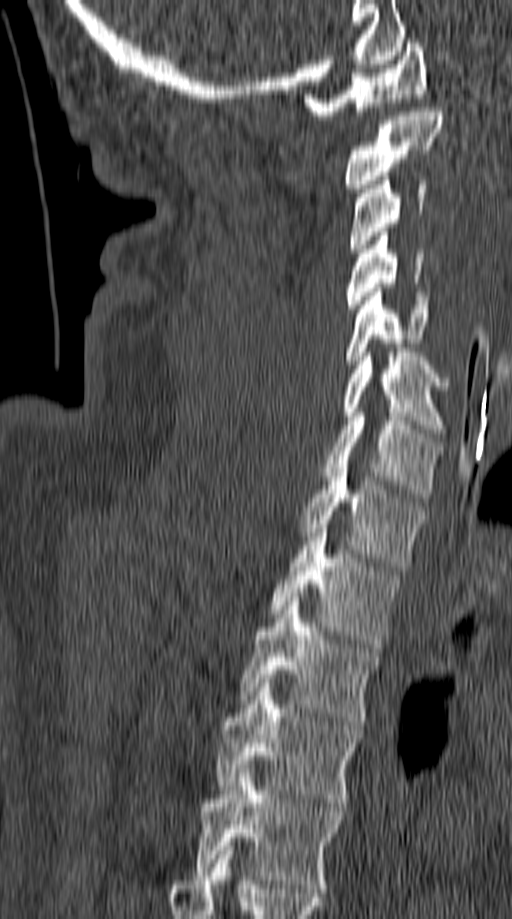 CT, spine; sagittal view; bone-window reconstruction; 512x919 px; the image spans 149 mm across. Boxes: x1 y1 x2 y2 (pixel coords, space-separated).
Vertebra bounding boxes:
- T5: 192 769 344 892
- T4: 217 683 361 807
- T3: 241 597 378 725
- T2: 269 528 399 648
- T1: 298 464 423 570
- C7: 323 412 443 502
- C6: 341 352 450 437
- C5: 346 288 432 368
- C4: 345 228 423 313
- C3: 348 172 426 252
- C2: 345 107 443 192
- C1: 304 39 426 119